Computed tomography of the spine — sagittal view — bone-window reconstruction — image width 333 mm — 512x695 px — 9 vertebrae labeled in this scan
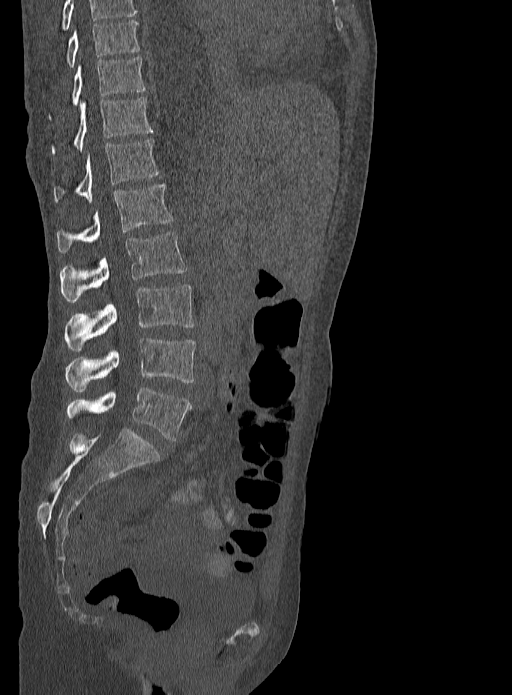 Each box given as x1,y1,x2,y2. This scan's labels start at T9 at the top and end at L5 at the bottom. 9 vertebrae labeled — T9 at x1=66, y1=20, x2=139, y2=67; T10 at x1=72, y1=57, x2=146, y2=105; T11 at x1=52, y1=97, x2=152, y2=153; T12 at x1=54, y1=138, x2=159, y2=202; L1 at x1=57, y1=183, x2=172, y2=253; L2 at x1=60, y1=232, x2=186, y2=302; L3 at x1=64, y1=284, x2=194, y2=351; L4 at x1=64, y1=338, x2=196, y2=391; L5 at x1=67, y1=387, x2=191, y2=440.